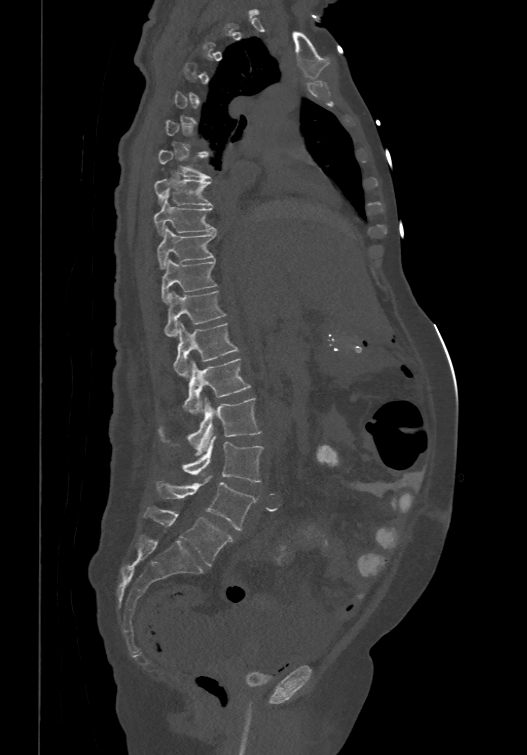

Computed tomography of the spine; sagittal view. Boxes: x1 y1 x2 y2 (pixel coords, space-separated).
A vertebra is boxed only from the first to the last slice where its cross-section is at least a third of its largest; slices outside that range leave it without a box.
In these labels the spine has an L6, a sixth lumbar vertebra below L5.
T7: 157 148 211 179
T8: 154 177 212 204
T9: 153 194 216 233
T10: 156 225 216 267
T11: 161 257 217 302
T12: 165 290 225 335
L1: 173 321 238 375
L2: 183 357 250 415
L3: 158 397 261 455
L4: 182 435 263 482
L5: 156 475 255 530
L6: 144 507 233 565